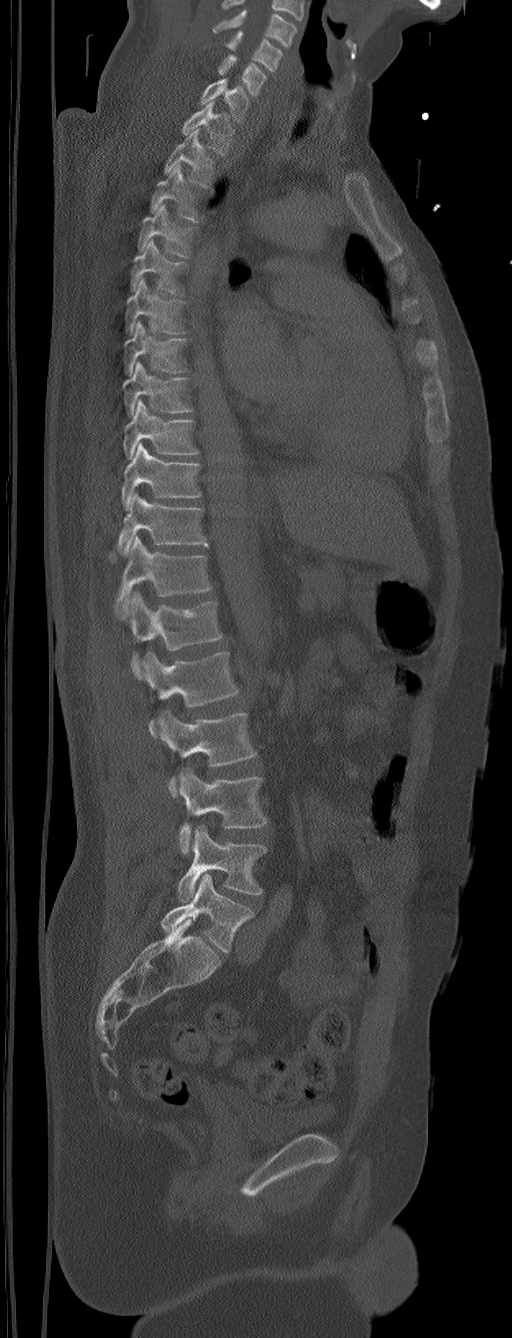 CT — sagittal view — bone window
Boxes below are [x1, y1, x2, y2] in pixels.
The highest labeled vertebra in this scan is C5; the lowest is L6.
In these labels the spine has an L6, a sixth lumbar vertebra below L5.
{"vertebrae":{"C5":[224,31,283,72],"C6":[217,54,266,95],"C7":[200,78,249,122],"T1":[182,101,234,154],"T2":[164,129,214,187],"T3":[150,162,202,221],"T4":[137,204,196,256],"T5":[130,239,187,295],"T6":[125,278,187,336],"T7":[124,321,187,376],"T8":[123,361,192,417],"T9":[123,400,200,459],"T10":[121,443,201,509],"T11":[118,494,207,555],"T12":[109,536,211,619],"L1":[130,592,223,680],"L2":[143,652,239,736],"L3":[156,710,256,797],"L4":[178,766,268,854],"L5":[177,825,266,902],"L6":[161,873,254,953]}}